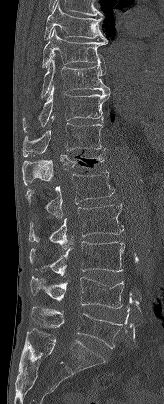
CT, spine — sagittal view — 164 mm image width — bone window

Bounding boxes as [x1, y1, x2, y2] in pixel coordinates.
Vertebra bounding boxes:
- L5: [31, 306, 123, 348]
- L4: [30, 277, 123, 308]
- L3: [29, 241, 125, 276]
- L2: [28, 203, 123, 249]
- L1: [25, 171, 114, 220]
- T12: [22, 148, 105, 185]
- T11: [22, 117, 106, 157]
- T10: [23, 84, 110, 132]
- T9: [40, 55, 109, 98]
- T8: [42, 28, 107, 67]
- T7: [44, 1, 107, 41]